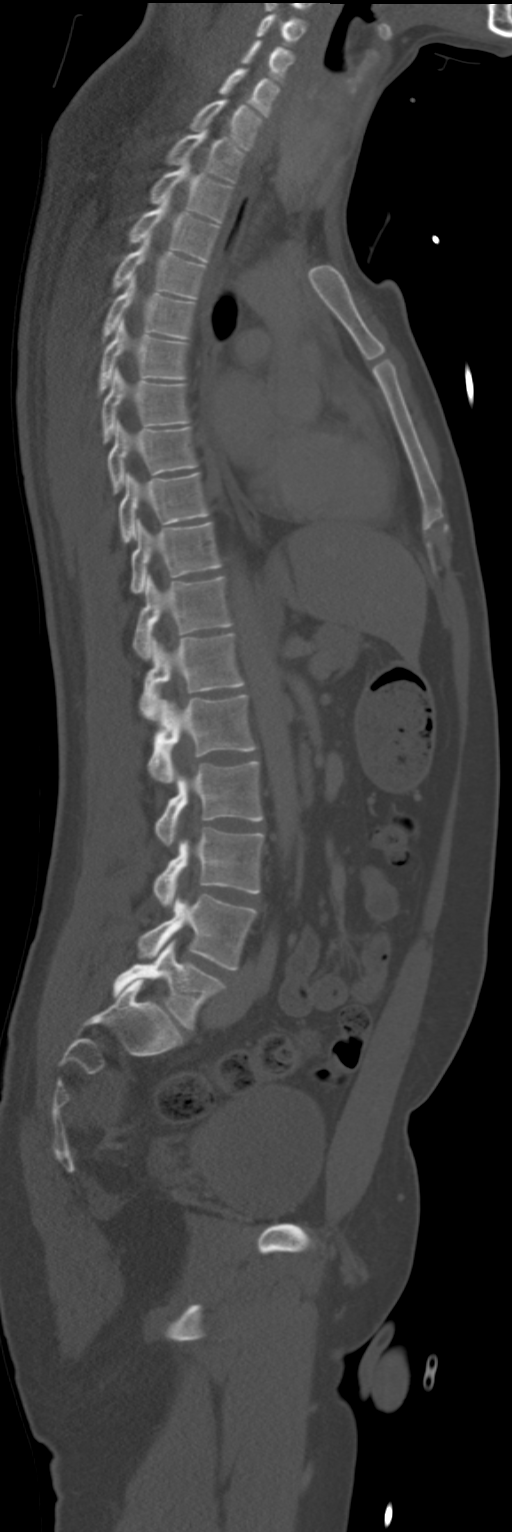

Computed tomography of the spine · sagittal view · Bone window (WL 400, WW 1800) · 512x1532 px

<vertebrae><v name="C4" x1="256" y1="13" x2="307" y2="43"/><v name="C5" x1="241" y1="41" x2="294" y2="82"/><v name="C6" x1="218" y1="69" x2="278" y2="116"/><v name="C7" x1="190" y1="98" x2="261" y2="148"/><v name="T1" x1="166" y1="128" x2="244" y2="183"/><v name="T2" x1="149" y1="161" x2="233" y2="221"/><v name="T3" x1="128" y1="195" x2="219" y2="261"/><v name="T4" x1="111" y1="237" x2="206" y2="297"/><v name="T5" x1="101" y1="275" x2="194" y2="342"/><v name="T6" x1="98" y1="319" x2="187" y2="394"/><v name="T7" x1="102" y1="368" x2="189" y2="444"/><v name="T8" x1="107" y1="421" x2="196" y2="492"/><v name="T9" x1="119" y1="472" x2="208" y2="542"/><v name="T10" x1="130" y1="519" x2="221" y2="594"/><v name="T11" x1="132" y1="575" x2="231" y2="659"/><v name="T12" x1="140" y1="633" x2="244" y2="719"/><v name="L1" x1="148" y1="694" x2="255" y2="783"/><v name="L2" x1="155" y1="761" x2="263" y2="846"/><v name="L3" x1="153" y1="828" x2="263" y2="907"/><v name="L4" x1="137" y1="894" x2="255" y2="970"/><v name="L5" x1="112" y1="940" x2="225" y2="1029"/></vertebrae>